CT spine — image 340 mm wide — sagittal plane, index 294 — 512x705 px — 8 vertebrae labeled in this scan
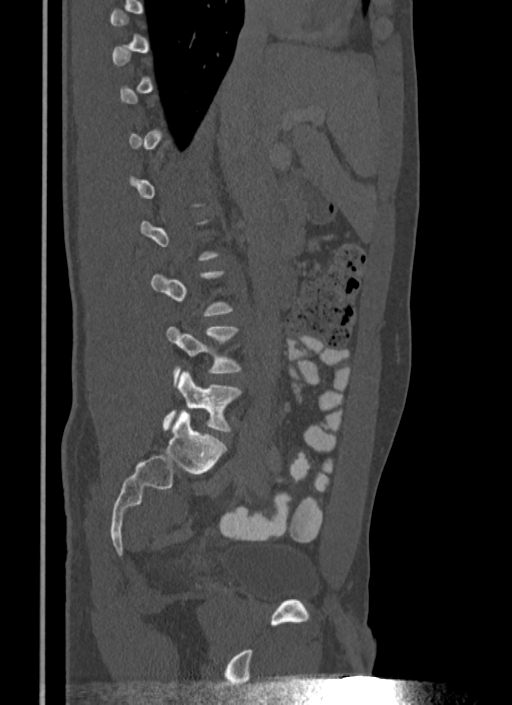 Boxes: x1 y1 x2 y2 (pixel coords, space-separated).
A vertebra is boxed only from the first to the last slice where its cross-section is at least a third of its largest; slices outside that range leave it without a box.
Vertebra bounding boxes:
- L4: 165 325 241 375
- L5: 162 370 241 431